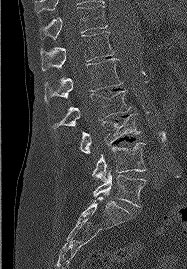
CT — sagittal view — bone window — 187x269 px
Boxes: x1 y1 x2 y2 (pixel coords, space-separated). The labeled vertebrae in this slice are: T11 at 40 5 107 39, T12 at 40 31 114 71, L1 at 44 58 122 102, L2 at 52 90 130 129, L3 at 79 114 140 153, L4 at 92 142 146 181, L5 at 93 170 145 206.